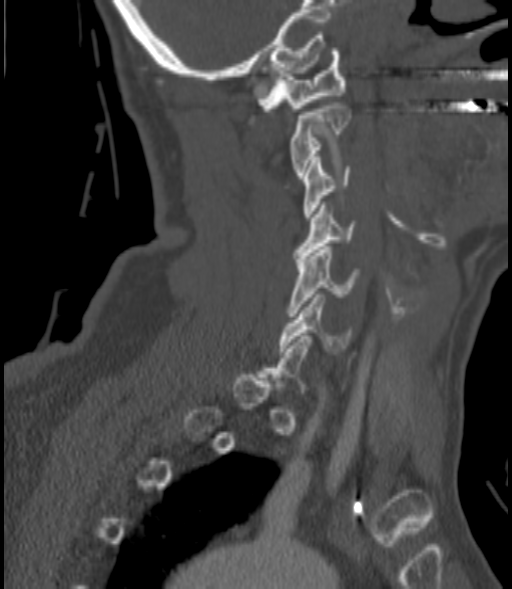 CT spine. sagittal view. 512x589 px
Boxes: x1 y1 x2 y2 (pixel coords, space-separated).
Not every vertebra on this slice has a box: a vertebra is boxed only from the first to the last slice where its cross-section is at least a third of its largest, and this slice is outside that range for at least one of them.
Vertebra bounding boxes:
- C1: 257 48 345 111
- C2: 290 102 350 178
- C3: 303 157 351 220
- C4: 294 205 356 261
- C5: 288 246 358 316
- C6: 279 294 350 351